Computed tomography of the spine — sagittal view — W/L 1800/400 HU — 7 vertebrae labeled in this scan
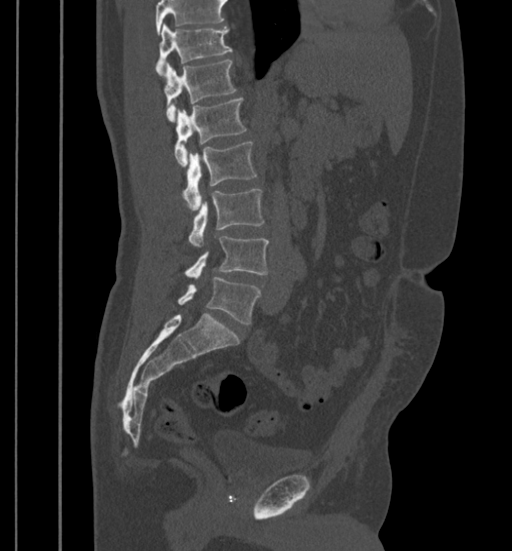 Each vertebra maps to its box as [x1, y1, x2, y2], the pixel coordinates of its top-left and bottom-right corners.
Where the top of the scan cuts through a vertebra, that vertebra gets no label or box.
{"vertebrae":{"T11":[155,25,232,76],"T12":[164,60,236,122],"L1":[174,98,247,165],"L2":[183,142,257,209],"L3":[188,188,264,246],"L4":[185,236,268,277],"L5":[177,277,261,324]}}